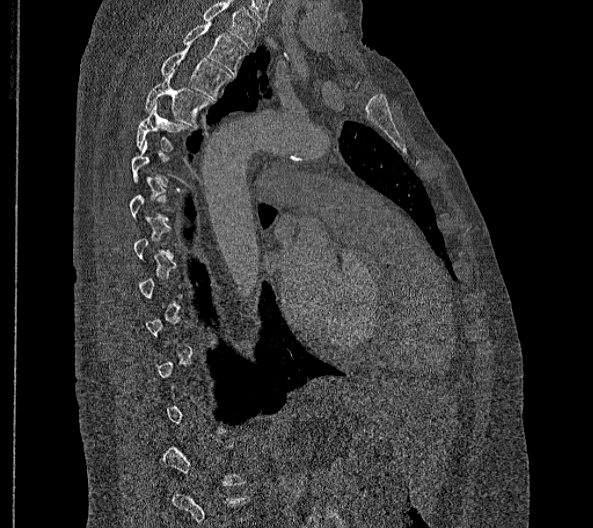

Computed tomography of the spine. sagittal reformat. Bone window (WL 400, WW 1800). 593x528 px
Each box given as x1,y1,x2,y2. Not every vertebra on this slice has a box: a vertebra is boxed only from the first to the last slice where its cross-section is at least a third of its largest, and this slice is outside that range for at least one of them. The highest labeled vertebra in this scan is T2; the lowest is L2. The labeled vertebrae in this slice are: T5 at x1=137, y1=103, x2=188, y2=150, T4 at x1=145, y1=70, x2=211, y2=126, T3 at x1=161, y1=43, x2=231, y2=99, T2 at x1=183, y1=23, x2=246, y2=76.